Spine computed tomography — sagittal view — bone-window reconstruction — 778x1351 px
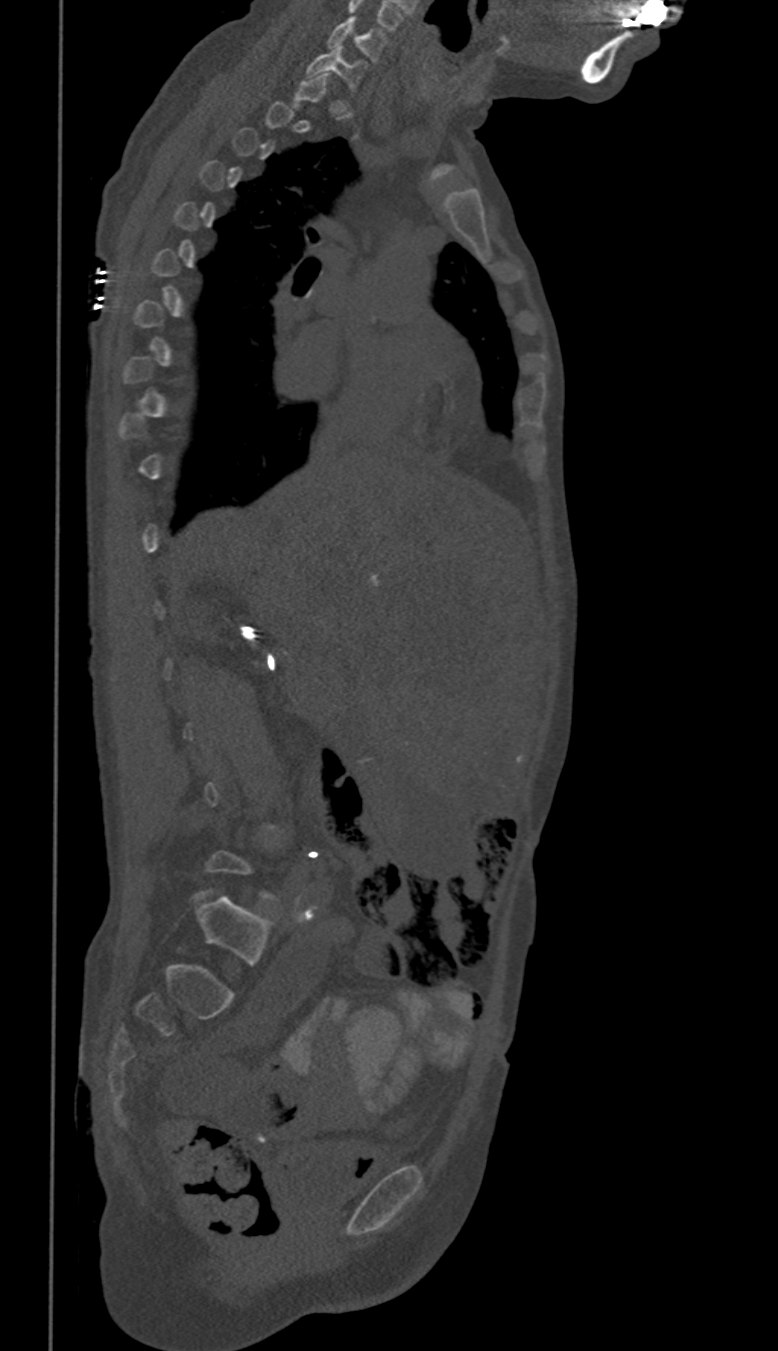

Boxes are given in columns x1, y1, x2, y2, the pixel coordinates of their top-left and bottom-right corners.
A vertebra gets a box only on the slices from the first to the last where its cross-section is at least a third of its largest; on a slice outside that range it gets none.
| vertebra | x1 | y1 | x2 | y2 |
|---|---|---|---|---|
| C6 | 328 | 16 | 388 | 62 |
| C7 | 307 | 46 | 364 | 86 |